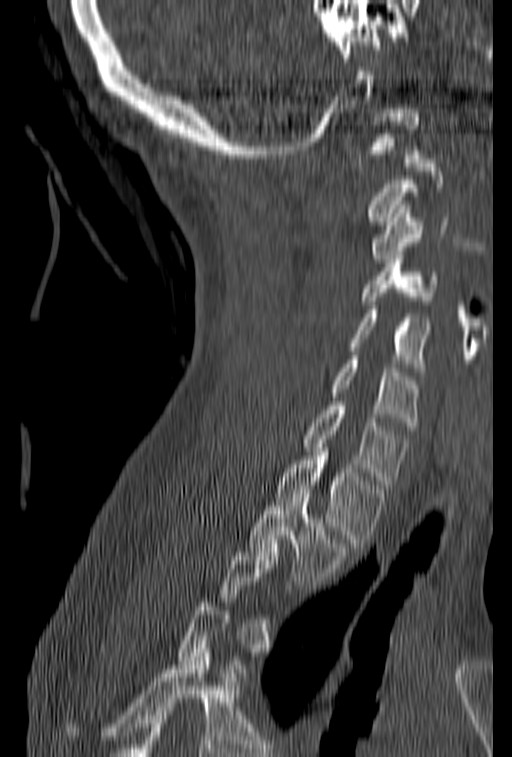

CT. the image is 153 mm wide. sagittal view
In the table, x1 and y1 are a box's top-left corner and x2 and y2 its bottom-right corner, in pixels.
Not every vertebra on this slice has a box: a vertebra is boxed only from the first to the last slice where its cross-section is at least a third of its largest, and this slice is outside that range for at least one of them.
| vertebra | x1 | y1 | x2 | y2 |
|---|---|---|---|---|
| T2 | 247 | 489 | 349 | 585 |
| T1 | 276 | 452 | 388 | 547 |
| C7 | 302 | 397 | 408 | 488 |
| C6 | 329 | 351 | 419 | 430 |
| C5 | 346 | 305 | 432 | 375 |
| C4 | 361 | 251 | 439 | 304 |
| C3 | 370 | 205 | 462 | 263 |
| C1 | 359 | 109 | 422 | 166 |